Computed tomography of the spine; sagittal reformat; a uniform gray block covers part of the image
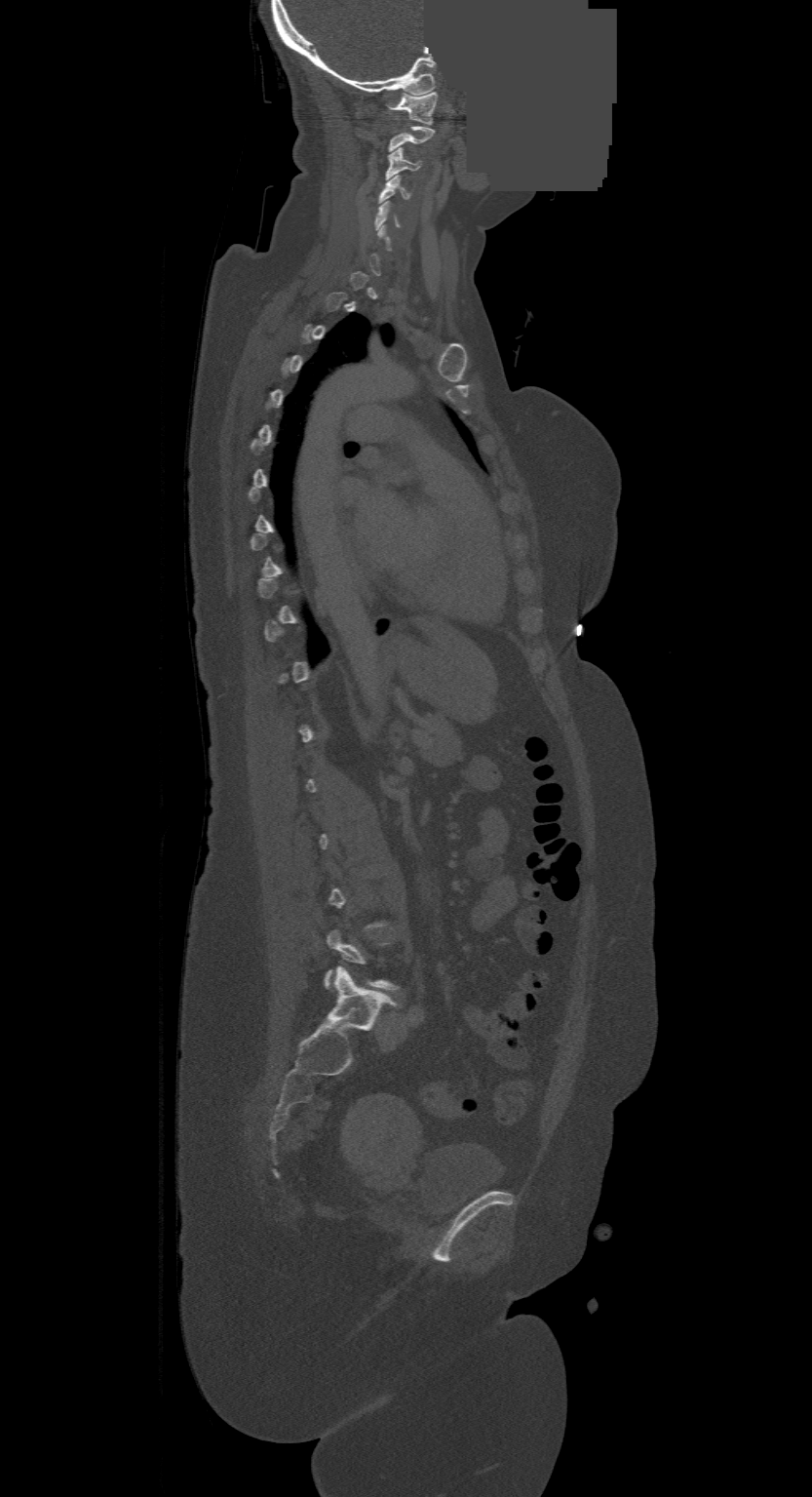
Each row gives a vertebra's box as x1, y1, x2, y2 in pixels: top-left corner, then bottom-right corner.
A vertebra gets a box only on the slices from the first to the last where its cross-section is at least a third of its largest; on a slice outside that range it gets none.
| vertebra | x1 | y1 | x2 | y2 |
|---|---|---|---|---|
| C5 | 376 | 202 | 401 | 227 |
| C4 | 379 | 176 | 410 | 203 |
| C3 | 386 | 148 | 419 | 178 |
| C1 | 390 | 92 | 436 | 123 |